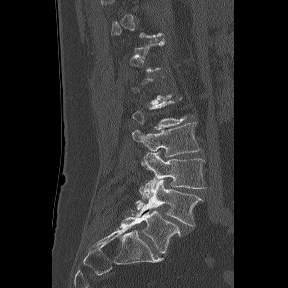
Spine computed tomography; the image spans 288 mm across; sagittal reformat. In the table, x1 and y1 are a box's top-left corner and x2 and y2 its bottom-right corner, in pixels.
Not every vertebra on this slice has a box: a vertebra is boxed only from the first to the last slice where its cross-section is at least a third of its largest, and this slice is outside that range for at least one of them.
These labels give the spine a sixth lumbar vertebra, L6, below L5.
| vertebra | x1 | y1 | x2 | y2 |
|---|---|---|---|---|
| L3 | 132 | 122 | 200 | 156 |
| L4 | 139 | 152 | 206 | 199 |
| L5 | 135 | 179 | 202 | 226 |
| L6 | 120 | 210 | 180 | 253 |